Spine computed tomography; sagittal reformat; scan covers 5 annotated vertebrae
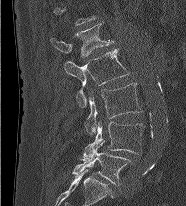
Each row gives a vertebra's box as x1, y1, x2, y2 in pixels: top-left corner, then bottom-right corner.
Labels in this scan begin with L1 at the top and end with L5 at the bottom.
| vertebra | x1 | y1 | x2 | y2 |
|---|---|---|---|---|
| L1 | 50 | 24 | 113 | 57 |
| L2 | 64 | 48 | 130 | 107 |
| L3 | 85 | 83 | 142 | 134 |
| L4 | 79 | 121 | 144 | 160 |
| L5 | 71 | 141 | 131 | 185 |